CT, spine. the image is 190 mm wide. sagittal view. bone window
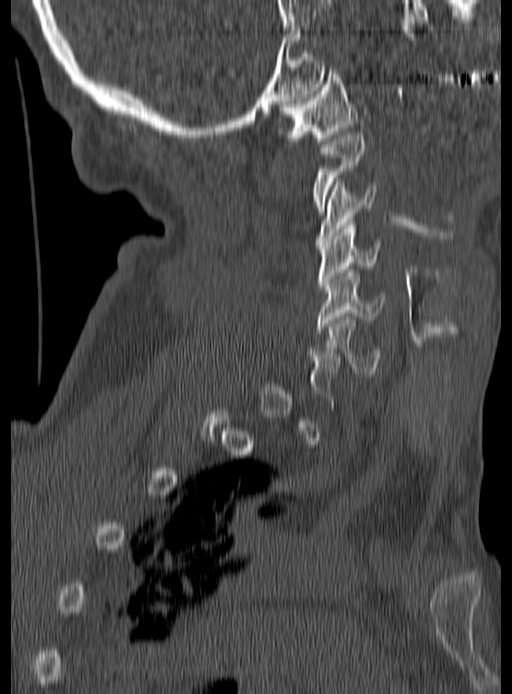

Boxes are given in columns x1, y1, x2, y2, the pixel coordinates of their top-left and bottom-right corners.
Each vertebra is boxed only on the slices from the first to the last where its cross-section reaches a third of its largest, so a slice outside that range leaves it unboxed.
| vertebra | x1 | y1 | x2 | y2 |
|---|---|---|---|---|
| C1 | 279 | 64 | 357 | 144 |
| C2 | 313 | 135 | 364 | 215 |
| C3 | 315 | 182 | 378 | 245 |
| C4 | 318 | 222 | 381 | 289 |
| C5 | 316 | 269 | 385 | 332 |
| C6 | 309 | 317 | 381 | 376 |